Computed tomography of the spine. sagittal plane, index 297. bone window. 556x600 px
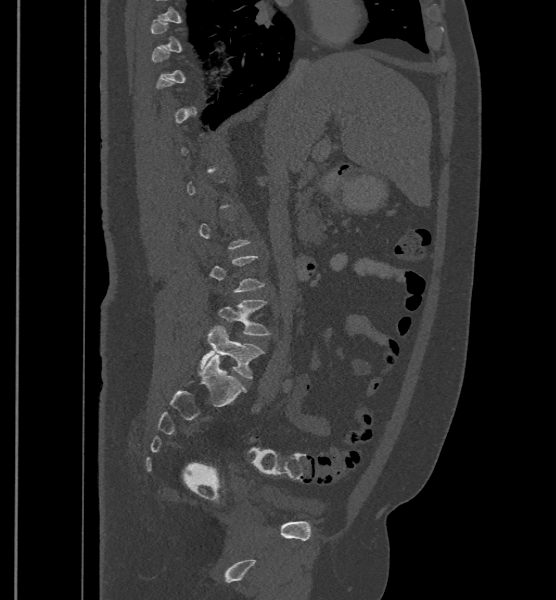

Boxes: x1:y1:x2:y2 in pixels.
A vertebra is boxed only from the first to the last slice where its cross-section is at least a third of its largest; slices outside that range leave it without a box.
In these labels the spine has an L6, a sixth lumbar vertebra below L5.
Vertebra bounding boxes:
- L6: 200:326:264:378
- L5: 218:300:270:335